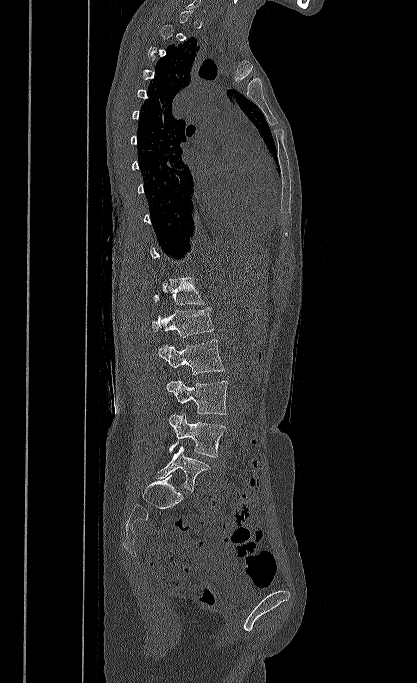 CT — sagittal view — 417x683 px
Columns x1, y1, x2, y2 give each box's top-left and bottom-right pixels.
Each vertebra is boxed only on the slices from the first to the last where its cross-section reaches a third of its largest, so a slice outside that range leaves it unboxed.
| vertebra | x1 | y1 | x2 | y2 |
|---|---|---|---|---|
| T12 | 152 | 277 | 204 | 304 |
| L1 | 152 | 308 | 214 | 337 |
| L2 | 158 | 339 | 225 | 374 |
| L3 | 166 | 381 | 227 | 414 |
| L4 | 168 | 414 | 226 | 457 |
| L5 | 157 | 446 | 210 | 491 |